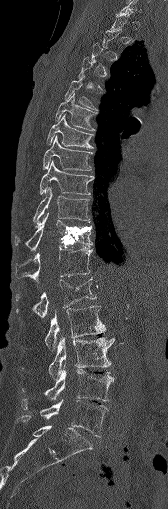 Spine CT · sagittal view · bone window · 168x509 px. Boxes: x1 y1 x2 y2 (pixel coords, space-separated). A vertebra is boxed only from the first to the last slice where its cross-section is at least a third of its largest; slices outside that range leave it without a box. 13 vertebrae labeled — T5 at 65 75 96 109; T6 at 55 95 97 130; T7 at 47 114 92 148; T8 at 43 136 91 170; T9 at 40 161 92 194; T10 at 35 187 89 223; T11 at 15 214 92 251; T12 at 15 247 93 280; L1 at 16 277 96 316; L2 at 45 306 105 349; L3 at 21 337 113 382; L4 at 22 370 113 401; L5 at 21 398 109 436.